Spine CT — sagittal reformat — 512x513 px
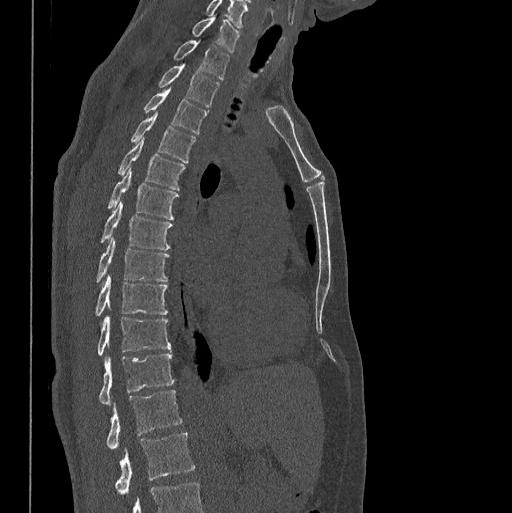
Columns x1, y1, x2, y2 give each box's top-left and bottom-right pixels.
Labels in this scan begin with C7 at the top and end with L1 at the bottom.
| vertebra | x1 | y1 | x2 | y2 |
|---|---|---|---|---|
| L1 | 114 | 432 | 194 | 493 |
| T12 | 105 | 389 | 182 | 449 |
| T11 | 99 | 353 | 174 | 404 |
| T10 | 98 | 315 | 171 | 354 |
| T9 | 95 | 274 | 167 | 316 |
| T8 | 95 | 237 | 169 | 283 |
| T7 | 100 | 201 | 173 | 249 |
| T6 | 107 | 168 | 179 | 220 |
| T5 | 117 | 139 | 185 | 190 |
| T4 | 130 | 112 | 196 | 163 |
| T3 | 143 | 88 | 207 | 133 |
| T2 | 158 | 63 | 219 | 107 |
| T1 | 174 | 41 | 229 | 80 |
| C7 | 192 | 16 | 239 | 52 |